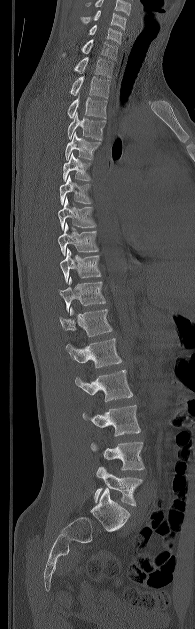
Spine computed tomography — sagittal view — 195 mm wide — W/L 1800/400 HU

The highest labeled vertebra in this scan is C5; the lowest is L5.
<vertebrae><v name="L5" x1="94" y1="467" x2="142" y2="505"/><v name="L4" x1="91" y1="442" x2="144" y2="470"/><v name="L3" x1="82" y1="405" x2="140" y2="436"/><v name="L2" x1="75" y1="369" x2="133" y2="401"/><v name="L1" x1="66" y1="338" x2="121" y2="367"/><v name="T12" x1="59" y1="307" x2="112" y2="336"/><v name="T11" x1="58" y1="277" x2="105" y2="312"/><v name="T10" x1="60" y1="248" x2="101" y2="283"/><v name="T9" x1="58" y1="223" x2="98" y2="256"/><v name="T8" x1="58" y1="197" x2="95" y2="229"/><v name="T7" x1="59" y1="175" x2="91" y2="204"/><v name="T6" x1="63" y1="153" x2="90" y2="180"/><v name="T5" x1="65" y1="132" x2="100" y2="160"/><v name="T4" x1="67" y1="113" x2="105" y2="140"/><v name="T3" x1="67" y1="96" x2="106" y2="118"/><v name="T2" x1="70" y1="76" x2="109" y2="98"/><v name="T1" x1="74" y1="57" x2="113" y2="77"/><v name="C7" x1="63" y1="39" x2="117" y2="60"/><v name="C6" x1="88" y1="25" x2="121" y2="43"/><v name="C5" x1="81" y1="10" x2="126" y2="29"/></vertebrae>